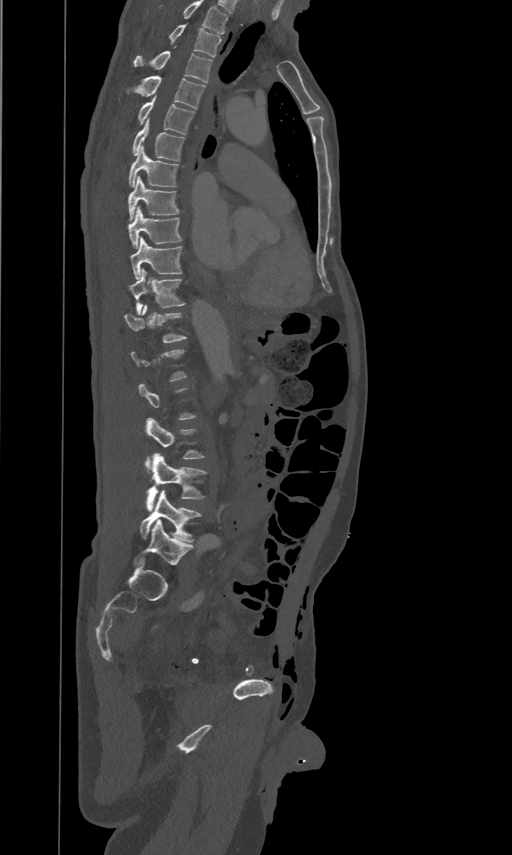

CT spine. sagittal view. Boxes are (x1, y1, x2, y2) in pixels.
Each vertebra is boxed only on the slices from the first to the last where its cross-section reaches a third of its largest, so a slice outside that range leaves it unboxed.
In this scan, the topmost labeled vertebra is T2 and the lowest is L5.
Vertebra bounding boxes:
- T2: (168, 23, 221, 57)
- T3: (133, 51, 212, 82)
- T4: (135, 75, 204, 109)
- T5: (137, 95, 194, 134)
- T6: (133, 118, 183, 160)
- T7: (129, 145, 178, 185)
- T8: (128, 176, 178, 220)
- T9: (128, 205, 181, 246)
- T10: (130, 236, 181, 278)
- T11: (129, 267, 185, 314)
- T12: (124, 304, 186, 341)
- L3: (145, 417, 203, 467)
- L4: (146, 453, 205, 511)
- L5: (140, 490, 200, 542)